CT, spine · sagittal view · W/L 1800/400 HU · the image is 190 mm wide · 512x694 px · 12 vertebrae labeled in this scan
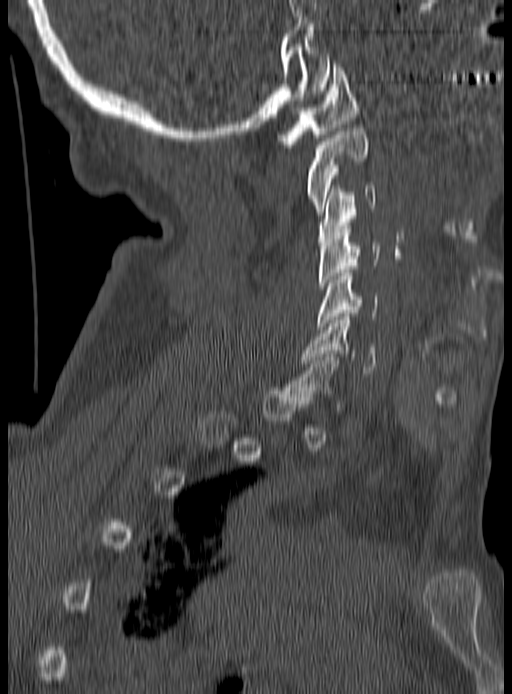
Boxes are (x1, y1, x2, y2) in pixels.
A vertebra is boxed only from the first to the last slice where its cross-section is at least a third of its largest; slices outside that range leave it without a box.
Vertebra bounding boxes:
- C6: (303, 317, 376, 376)
- C5: (319, 273, 378, 326)
- C4: (318, 226, 380, 289)
- C3: (317, 185, 377, 245)
- C2: (305, 128, 369, 215)
- C1: (278, 64, 358, 147)